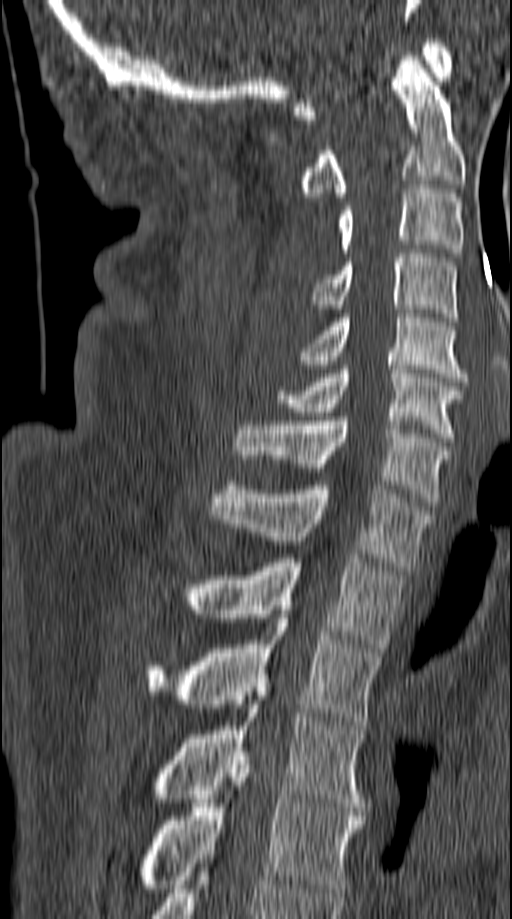 CT, spine; sagittal reformat; 512x919 px. Box edges are left/top/right/bottom in pixels. The labeled vertebrae in this slice are: C1 at left=293, top=39, right=451, bottom=119, C2 at left=299, top=56, right=464, bottom=197, C3 at left=338, top=185, right=464, bottom=257, C4 at left=313, top=249, right=457, bottom=321, C5 at left=299, top=314, right=467, bottom=381, C6 at left=276, top=365, right=462, bottom=441, C7 at left=235, top=417, right=450, bottom=502, T1 at left=207, top=481, right=430, bottom=570, T2 at left=187, top=554, right=406, bottom=652, T3 at left=149, top=614, right=382, bottom=725, T4 at left=152, top=700, right=364, bottom=807, T5 at left=140, top=756, right=364, bottom=892.